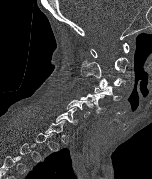 Spine CT; 152 mm wide; sagittal view; 152x179 px

Bounding boxes as [x1, y1, x2, y2] in pixel coordinates.
Not every vertebra on this slice has a box: a vertebra is boxed only from the first to the last slice where its cross-section is at least a third of its largest, and this slice is outside that range for at least one of them.
C1: [90, 43, 129, 57]
C2: [81, 57, 128, 78]
C3: [99, 77, 125, 89]
C4: [94, 86, 121, 101]
C5: [80, 93, 106, 113]
C6: [65, 100, 93, 117]
C7: [56, 107, 78, 125]